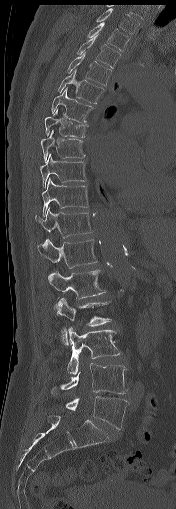 CT, spine. 176 mm image width. sagittal view. Boxes: x1:y1:x2:y2 in pixels. 17 vertebrae labeled — T1 at 96:8:140:34; T2 at 85:22:129:51; T3 at 77:33:120:68; T4 at 66:52:111:85; T5 at 58:69:102:103; T6 at 51:88:94:122; T7 at 44:109:89:137; T8 at 40:130:85:161; T9 at 40:154:88:188; T10 at 42:178:88:216; T11 at 35:208:91:237; T12 at 37:239:97:268; L1 at 48:269:105:298; L2 at 55:298:111:345; L3 at 67:327:120:374; L4 at 51:363:128:395; L5 at 66:396:127:429.